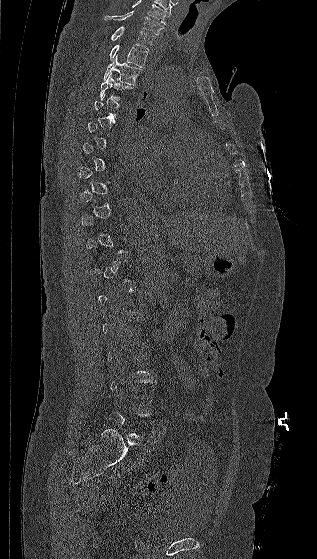

CT spine; sagittal view; Bone window (WL 400, WW 1800)
Boxes: x1 y1 x2 y2 (pixel coords, space-separated).
A vertebra gets a box only on the slices from the first to the last where its cross-section is at least a third of its largest; on a slice outside that range it gets none.
In this scan, the topmost labeled vertebra is C7 and the lowest is L5.
C7: 104 11 163 34
T1: 111 26 155 49
T2: 109 45 148 67
T3: 103 55 142 85
T4: 99 73 132 100